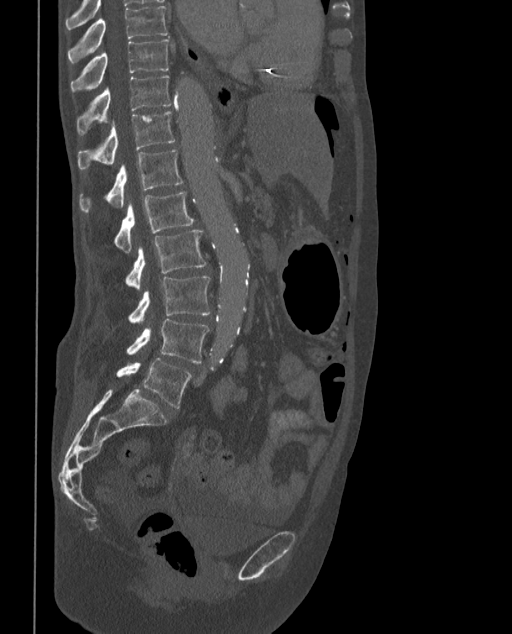
Spine CT. sagittal reformat. image 373 mm wide
Each vertebra maps to its box as [x1, y1, x2, y2], the pixel coordinates of its top-left and bottom-right corners.
In these labels the spine has an L6, a sixth lumbar vertebra below L5.
{"vertebrae":{"L6":[116,358,191,408],"L5":[126,320,209,362],"L4":[127,275,210,323],"L3":[125,230,206,289],"L2":[114,191,194,252],"L1":[79,149,183,213],"T12":[78,111,175,169],"T11":[77,75,172,135],"T10":[70,40,169,92],"T9":[67,5,169,63]}}